CT spine. sagittal plane, index 269. bone-window reconstruction. 512x483 px. scan covers 9 annotated vertebrae
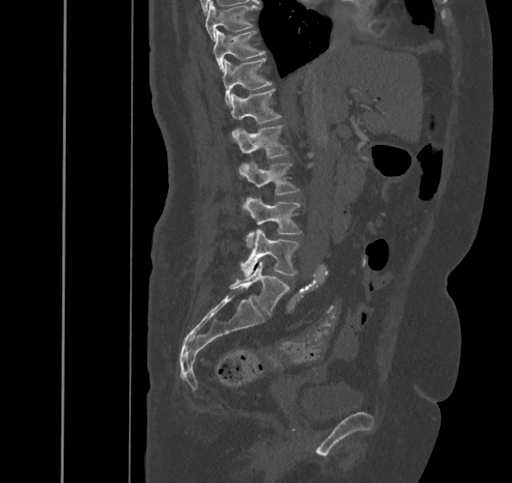

<vertebrae><v name="L5" x1="229" y1="261" x2="289" y2="315"/><v name="L4" x1="240" y1="230" x2="298" y2="277"/><v name="L3" x1="244" y1="197" x2="302" y2="246"/><v name="L2" x1="239" y1="162" x2="299" y2="194"/><v name="L1" x1="232" y1="126" x2="288" y2="174"/><v name="T12" x1="230" y1="89" x2="281" y2="140"/><v name="T11" x1="222" y1="58" x2="272" y2="106"/><v name="T10" x1="213" y1="30" x2="264" y2="73"/><v name="T9" x1="205" y1="2" x2="258" y2="40"/></vertebrae>